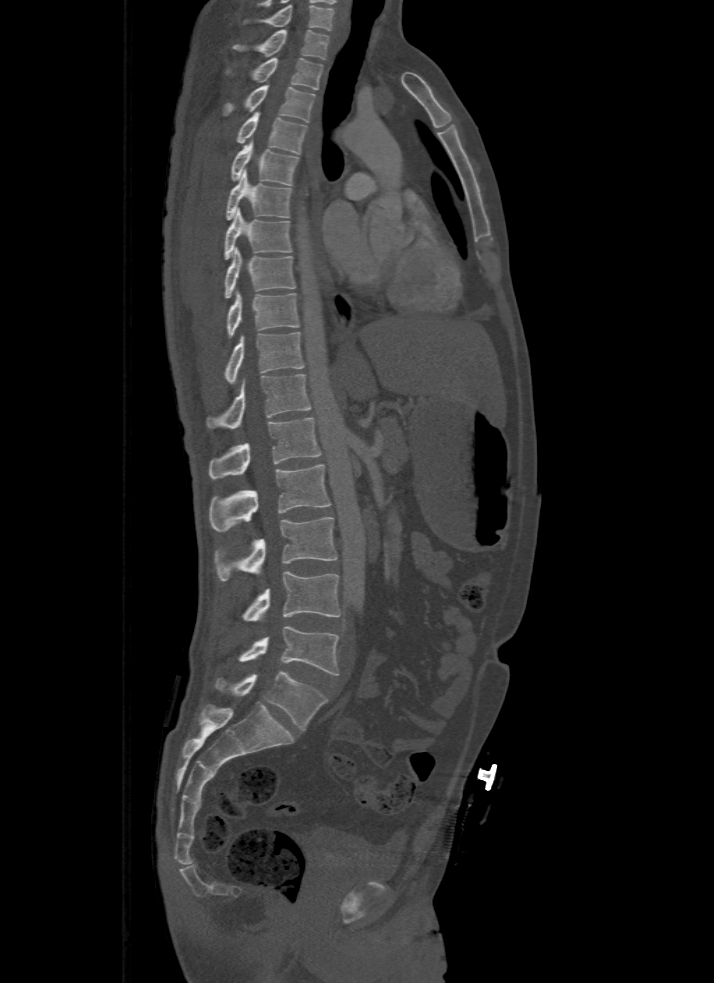

CT — sagittal view — W/L 1800/400 HU
Box edges are left/top/right/bottom in pixels. This scan's labels start at T1 at the top and end at L5 at the bottom. 17 vertebrae labeled — T1 at left=234, top=29, right=330, bottom=59; T2 at left=253, top=58, right=321, bottom=89; T3 at left=223, top=85, right=314, bottom=122; T4 at left=236, top=112, right=306, bottom=154; T5 at left=232, top=140, right=300, bottom=185; T6 at left=226, top=168, right=291, bottom=219; T7 at left=225, top=208, right=292, bottom=259; T8 at left=225, top=246, right=295, bottom=298; T9 at left=227, top=290, right=299, bottom=337; T10 at left=225, top=332, right=305, bottom=382; T11 at left=206, top=373, right=310, bottom=428; T12 at left=208, top=418, right=320, bottom=479; L1 at left=208, top=465, right=331, bottom=531; L2 at left=215, top=518, right=338, bottom=581; L3 at left=241, top=572, right=341, bottom=621; L4 at left=237, top=626, right=339, bottom=675; L5 at left=215, top=672, right=328, bottom=729.